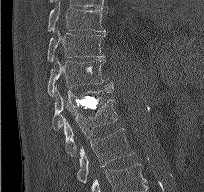 Spine CT · sagittal view. Boxes are (x1, y1, x2, y2) in pixels.
Vertebra bounding boxes:
- T9: (48, 3, 105, 32)
- T10: (47, 28, 106, 63)
- T11: (47, 57, 113, 96)
- T12: (52, 85, 114, 131)
- L1: (61, 99, 117, 156)
- L2: (77, 128, 133, 183)